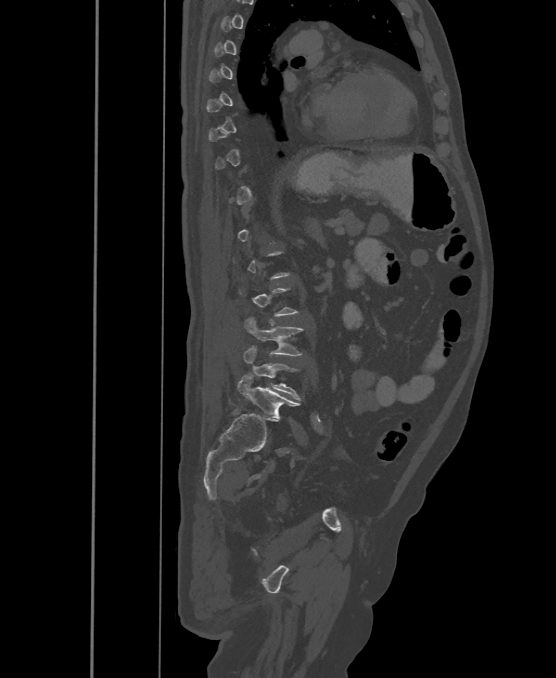

Computed tomography of the spine; sagittal view; 500 mm image width; 556x678 px

Coordinates as <box>x1,y1,x2,y2</box>.
A vertebra gets a box only on the slices from the first to the last where its cross-section is at least a third of its largest; on a slice outside that range it gets none.
These labels give the spine a sixth lumbar vertebra, L6, below L5.
Vertebra bounding boxes:
- L4: <box>245,318,303,355</box>
- L5: <box>243,346,300,400</box>
- L6: <box>238,376,297,420</box>